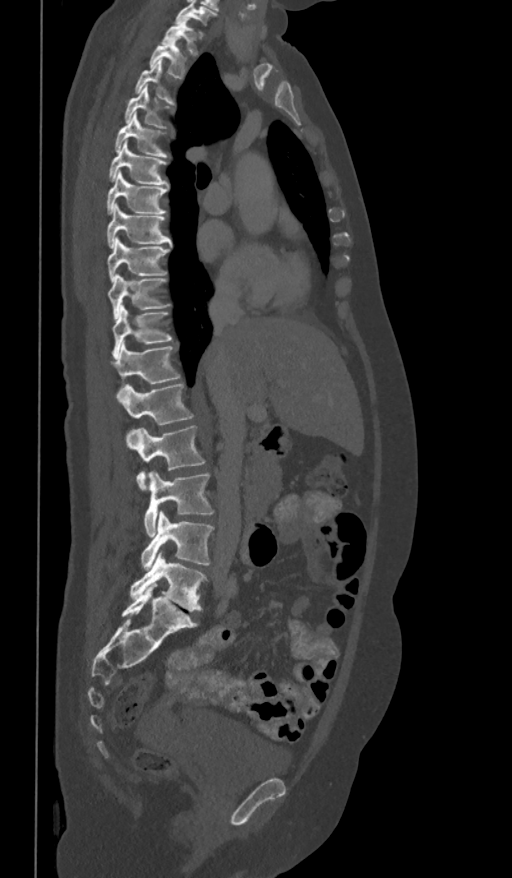 CT; sagittal view; 512x878 px; 361 mm wide
Labels in this scan begin with T1 at the top and end with L5 at the bottom.
<vertebrae><v name="T1" x1="161" y1="19" x2="197" y2="55"/><v name="T2" x1="150" y1="37" x2="187" y2="77"/><v name="T3" x1="135" y1="60" x2="175" y2="105"/><v name="T4" x1="125" y1="86" x2="169" y2="127"/><v name="T5" x1="115" y1="112" x2="168" y2="157"/><v name="T6" x1="109" y1="140" x2="170" y2="189"/><v name="T7" x1="106" y1="172" x2="168" y2="213"/><v name="T8" x1="106" y1="204" x2="172" y2="248"/><v name="T9" x1="108" y1="237" x2="169" y2="281"/><v name="T10" x1="108" y1="274" x2="169" y2="318"/><v name="T11" x1="112" y1="305" x2="171" y2="358"/><v name="T12" x1="112" y1="343" x2="180" y2="392"/><v name="L1" x1="118" y1="383" x2="193" y2="425"/><v name="L2" x1="126" y1="426" x2="204" y2="490"/><v name="L3" x1="144" y1="471" x2="214" y2="535"/><v name="L4" x1="140" y1="511" x2="214" y2="568"/><v name="L5" x1="130" y1="553" x2="207" y2="610"/></vertebrae>